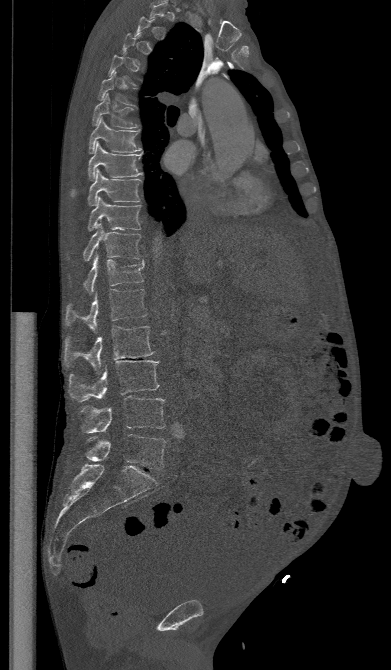
Spine CT. sagittal reformat. Bone window (WL 400, WW 1800)
Boxes: x1:y1:x2:y2 in pixels. A vertebra is boxed only from the first to the last slice where its cross-section is at least a third of its largest; slices outside that range leave it without a box. Vertebrae labeled: L5 at 85:434:166:469, L4 at 79:396:165:433, L3 at 69:360:159:401, L2 at 64:326:154:373, L1 at 66:289:146:332, T12 at 83:253:144:294, T11 at 83:223:140:261, T10 at 88:196:140:230, T9 at 88:169:141:205, T8 at 70:142:143:196, T7 at 89:118:140:153, T6 at 92:94:138:128, T5 at 97:71:137:108.